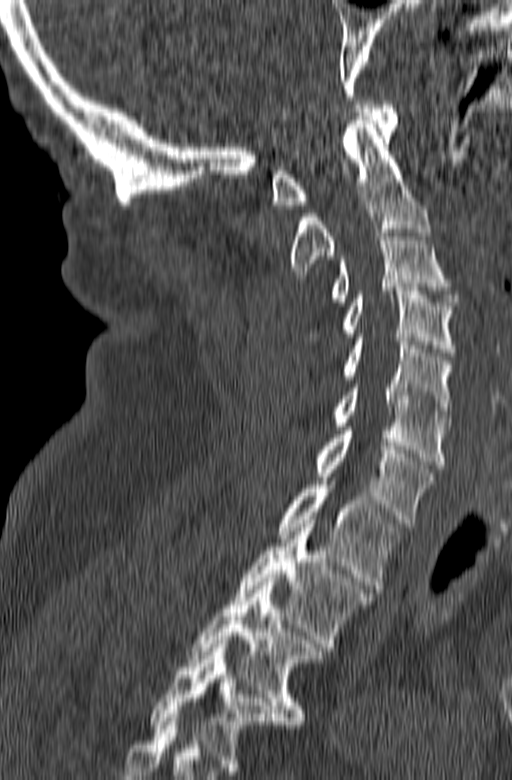 Spine computed tomography — sagittal view — 512x780 px
Each vertebra maps to its box as [x1, y1, x2, y2], the pixel coordinates of its top-left and bottom-right corners.
This scan's labels start at C1 at the top and end at T3 at the bottom.
{"vertebrae":{"C1":[271,101,397,208],"C2":[290,116,430,278],"C3":[330,229,458,305],"C4":[342,287,456,356],"C5":[313,337,453,418],"C6":[333,380,450,468],"C7":[316,427,433,527],"T1":[277,481,402,592],"T2":[234,520,372,651],"T3":[187,578,325,724]}}